Spine CT; sagittal plane, index 237; bone-window reconstruction; scan covers 23 annotated vertebrae; part of the image has been replaced by a constant value
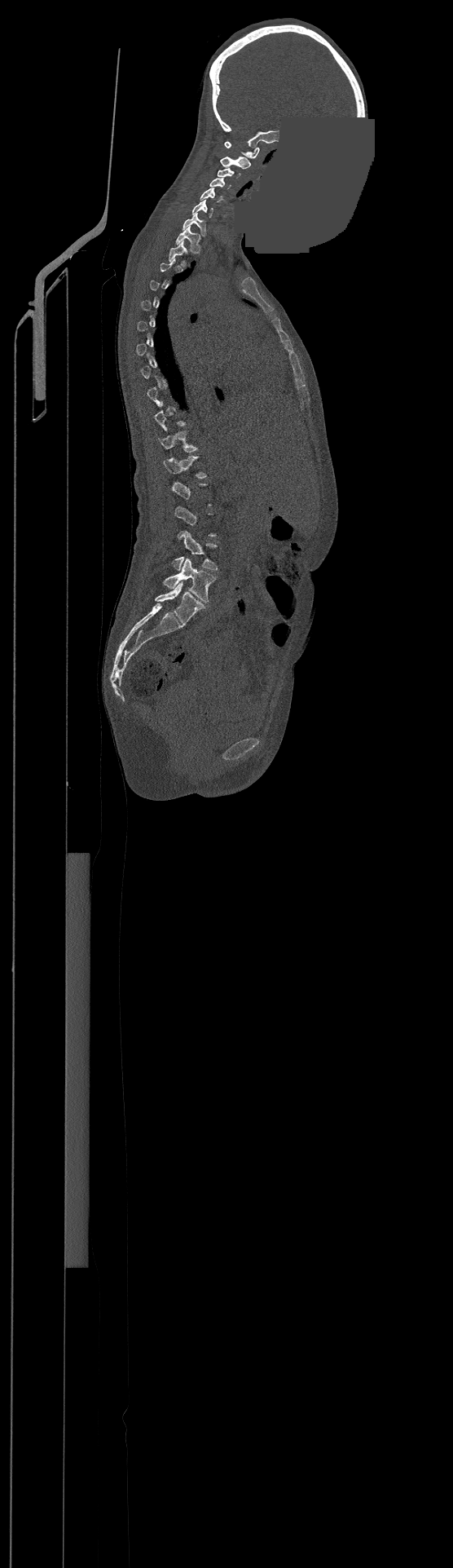

Each box is [x1, y1, x2, y2] in pixels: top-left corner, then bottom-right corner.
A vertebra gets a box only on the slices from the first to the last where its cross-section is at least a third of its largest; on a slice outside that range it gets none.
This scan's labels start at C1 at the top and end at L4 at the bottom.
{"vertebrae":{"L4":[163,558,215,603],"L3":[174,532,218,570],"T12":[164,456,205,478],"T11":[159,432,196,452],"T2":[169,241,187,265],"T1":[176,225,200,253],"C7":[183,211,205,236],"C6":[191,200,213,217],"C5":[200,188,223,202],"C4":[210,178,231,188],"C3":[218,168,240,178],"C2":[221,157,250,168],"C1":[225,142,259,158]}}